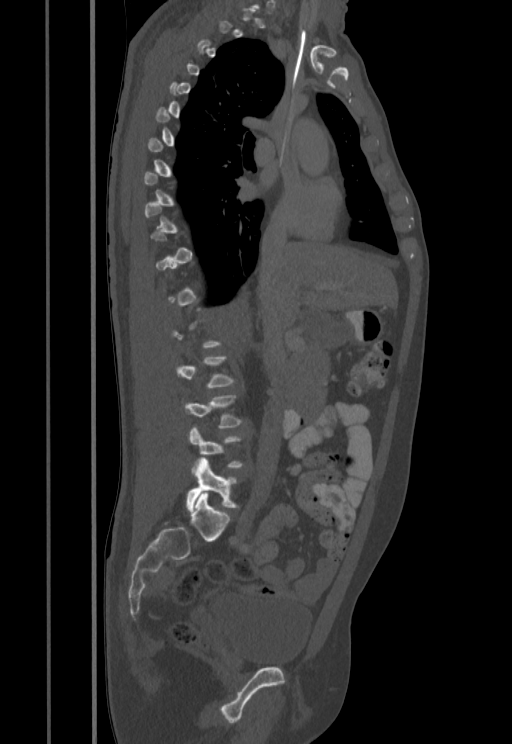 CT — sagittal view — Bone window (WL 400, WW 1800) — 512x744 px — the image spans 455 mm across

Box edges are left/top/right/bottom in pixels.
Each vertebra is boxed only on the slices from the first to the last where its cross-section reaches a third of its largest, so a slice outside that range leaves it unboxed.
| vertebra | x1 | y1 | x2 | y2 |
|---|---|---|---|---|
| L5 | 187 | 460 | 239 | 511 |
| L4 | 188 | 426 | 242 | 473 |
| L3 | 184 | 395 | 242 | 428 |